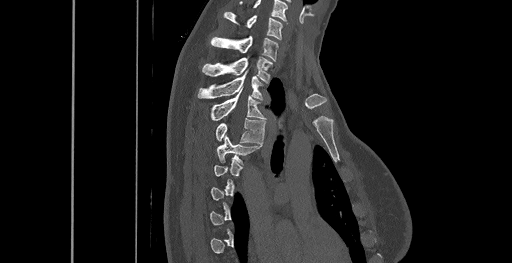

CT, spine · sagittal reformat · 512x263 px

Box edges are left/top/right/bottom in pixels.
A vertebra gets a box only on the slices from the first to the last where its cross-section is at least a third of its largest; on a slice outside that range it gets none.
The highest labeled vertebra in this scan is C6; the lowest is T8.
| vertebra | x1 | y1 | x2 | y2 |
|---|---|---|---|---|
| C6 | 224 | 12 | 282 | 39 |
| C7 | 211 | 36 | 278 | 60 |
| T1 | 202 | 57 | 272 | 81 |
| T2 | 198 | 74 | 262 | 99 |
| T3 | 211 | 92 | 265 | 120 |
| T4 | 216 | 119 | 265 | 143 |
| T5 | 217 | 136 | 260 | 164 |